Spine computed tomography — the image spans 180 mm across — sagittal reformat — Bone window (WL 400, WW 1800) — 14 vertebrae labeled in this scan
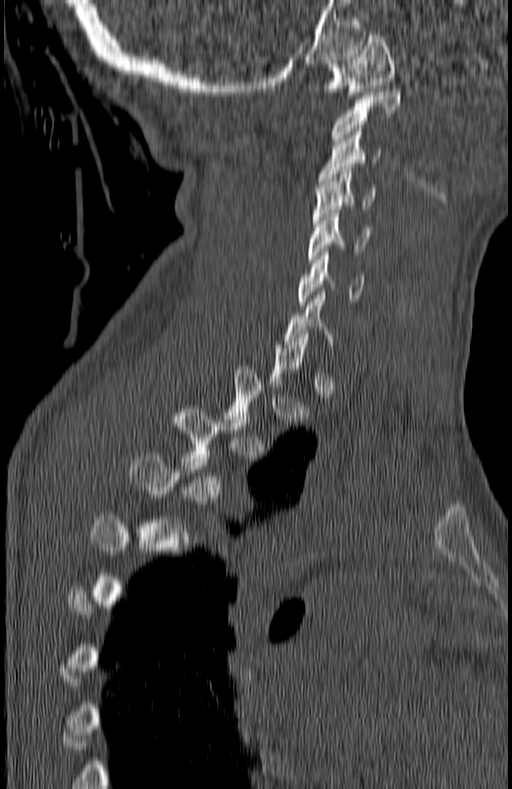 Boxes are (x1, y1, x2, y2) in pixels.
A vertebra gets a box only on the slices from the first to the last where its cross-section is at least a third of its largest; on a slice outside that range it gets none.
Vertebra bounding boxes:
- C1: (324, 36, 395, 99)
- C2: (331, 89, 401, 141)
- C3: (319, 128, 381, 184)
- C4: (314, 171, 375, 223)
- C5: (308, 210, 370, 262)
- C6: (300, 252, 364, 305)
- C7: (285, 295, 333, 355)
- T3: (168, 409, 248, 468)